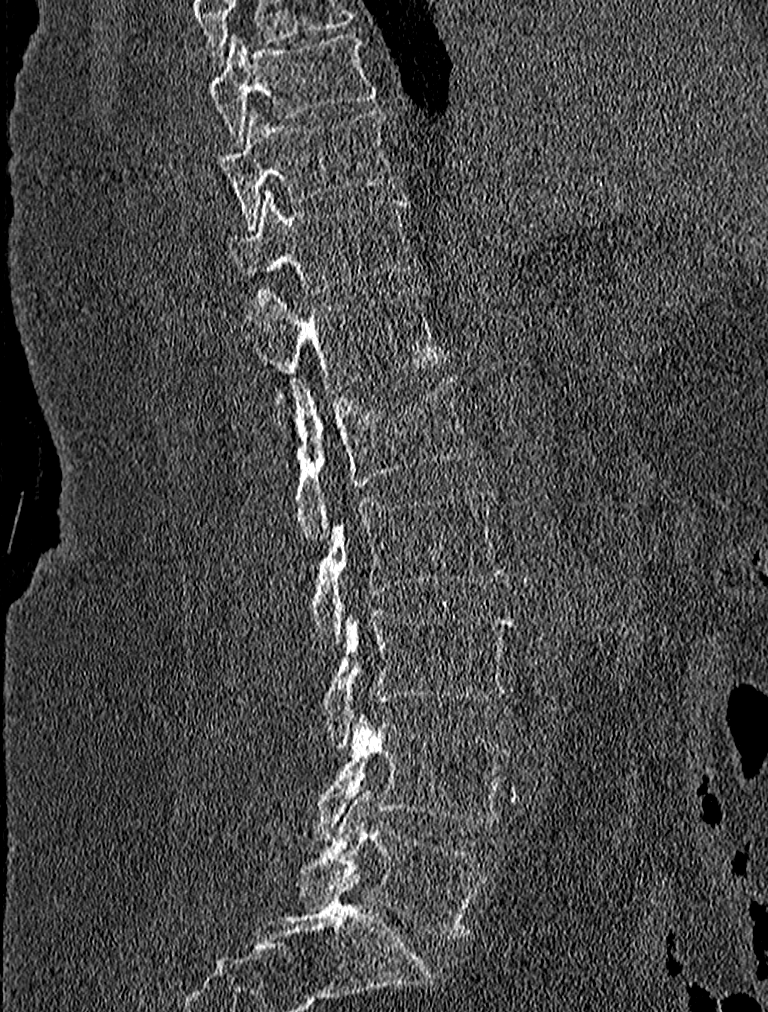 Spine computed tomography — sagittal reformat — bone window — 768x1012 px
Boxes are (x1, y1, x2, y2) in pixels.
Vertebra bounding boxes:
- T9: (209, 30, 377, 148)
- T10: (219, 108, 394, 226)
- T11: (227, 190, 411, 290)
- T12: (250, 288, 444, 434)
- L1: (288, 376, 475, 544)
- L2: (310, 487, 502, 648)
- L3: (320, 611, 512, 748)
- L4: (301, 713, 508, 839)
- L5: (300, 790, 485, 938)